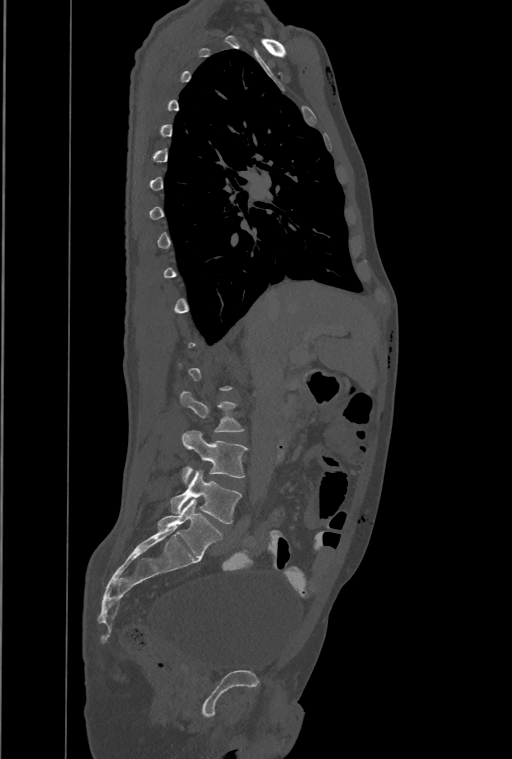
CT spine · sagittal view
Each box is [x1, y1, x2, y2] in pixels: top-left corner, then bottom-right corner.
A vertebra gets a box only on the slices from the first to the last where its cross-section is at least a third of its largest; on a slice outside that range it gets none.
This scan's labels start at T1 at the top and end at L4 at the bottom.
{"vertebrae":{"L2":[181,391,244,431],"L3":[182,430,247,484],"L4":[171,470,242,524]}}